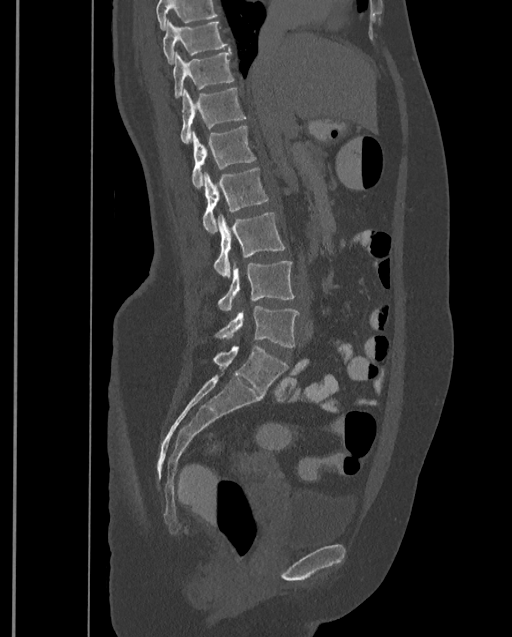
Spine CT; sagittal view; 512x637 px
Box edges are left/top/right/bottom in pixels.
No box is given to a vertebra that the top edge of the scan cuts off.
This scan's labels start at T9 at the top and end at L4 at the bottom.
Vertebra bounding boxes:
- L4: left=214, top=306, right=299, bottom=347
- L3: left=218, top=260, right=294, bottom=311
- L2: left=214, top=212, right=285, bottom=277
- L1: left=203, top=167, right=268, bottom=233
- T12: left=191, top=126, right=255, bottom=188
- T11: left=180, top=87, right=245, bottom=143
- T10: left=173, top=50, right=234, bottom=98
- T9: left=163, top=18, right=229, bottom=65